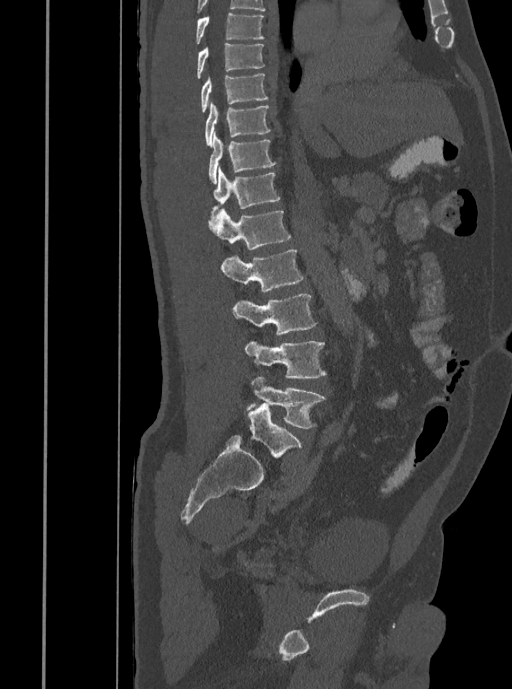

Spine CT. sagittal view. bone-window reconstruction. 512x689 px
In the table, x1 and y1 are a box's top-left corner and x2 and y2 its bottom-right corner, in pixels.
| vertebra | x1 | y1 | x2 | y2 |
|---|---|---|---|---|
| T7 | 194 | 12 | 264 | 44 |
| T8 | 196 | 43 | 264 | 78 |
| T9 | 201 | 73 | 267 | 112 |
| T10 | 204 | 103 | 270 | 147 |
| T11 | 208 | 131 | 275 | 183 |
| T12 | 210 | 166 | 280 | 224 |
| L1 | 211 | 209 | 290 | 249 |
| L2 | 220 | 250 | 304 | 292 |
| L3 | 233 | 294 | 316 | 334 |
| L4 | 245 | 340 | 326 | 378 |
| L5 | 247 | 376 | 325 | 428 |